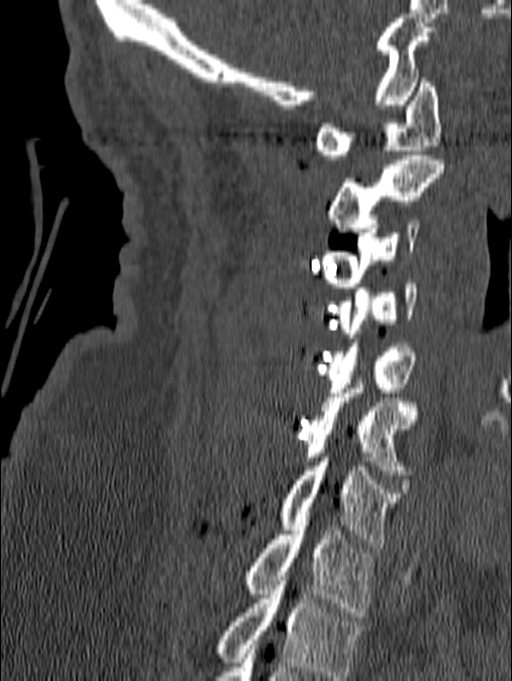

CT spine; sagittal view; 512x681 px
Boxes below are [x1, y1, x2, y2] in pixels.
The highest labeled vertebra in this scan is C1; the lowest is T1.
{"vertebrae":{"C1":[315,78,441,159],"C2":[327,155,444,232],"C3":[320,219,419,287],"C4":[337,279,417,337],"C5":[327,338,415,392],"C6":[301,379,417,474],"C7":[279,457,403,548],"T1":[243,526,374,616]}}